CT spine; sagittal view; 350x637 px; 17 vertebrae labeled in this scan; 350 mm image width
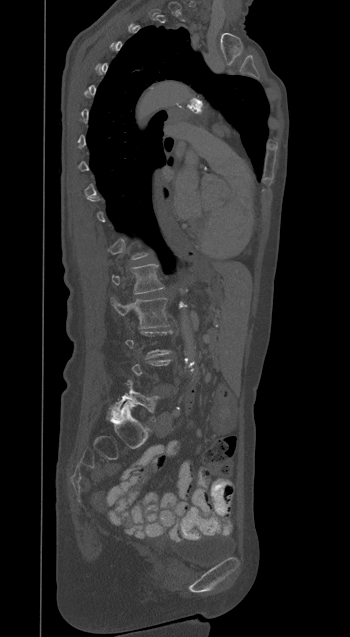
Each row gives a vertebra's box as x1, y1, x2, y2 in pixels: top-left corner, then bottom-right corner.
Each vertebra is boxed only on the slices from the first to the last where its cross-section reaches a third of its largest, so a slice outside that range leaves it unboxed.
| vertebra | x1 | y1 | x2 | y2 |
|---|---|---|---|---|
| L5 | 110 | 380 | 159 | 421 |
| L2 | 110 | 297 | 169 | 328 |
| L1 | 111 | 264 | 163 | 294 |